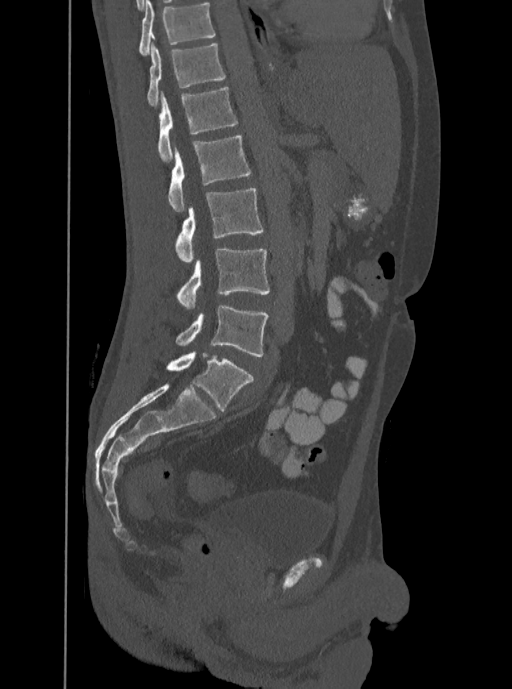

CT. image width 350 mm. sagittal reformat
Labels in this scan begin with T12 at the top and end with L5 at the bottom.
<vertebrae><v name="L5" x1="175" y1="305" x2="268" y2="357"/><v name="L4" x1="175" y1="249" x2="269" y2="308"/><v name="L3" x1="175" y1="188" x2="264" y2="262"/><v name="L2" x1="168" y1="136" x2="250" y2="211"/><v name="L1" x1="158" y1="87" x2="237" y2="162"/><v name="T12" x1="147" y1="42" x2="226" y2="106"/></vertebrae>